Spine CT. 408 mm wide. sagittal plane, index 239
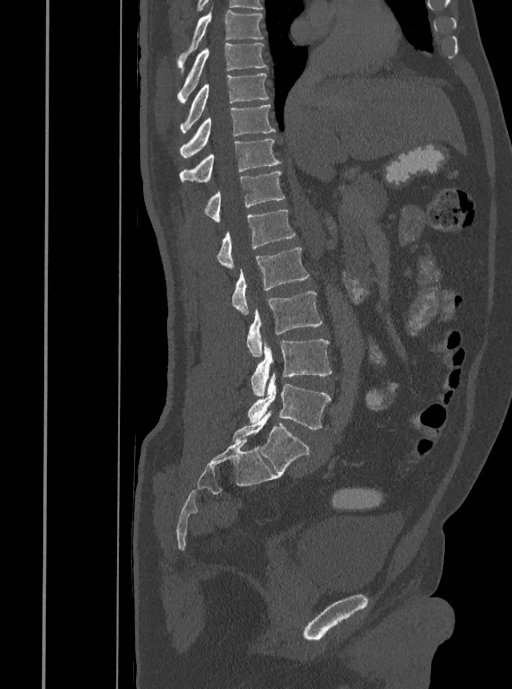

Boxes are given in columns x1, y1, x2, y2, the pixel coordinates of their top-left and bottom-right corners.
| vertebra | x1 | y1 | x2 | y2 |
|---|---|---|---|---|
| T7 | 177 | 10 | 264 | 74 |
| T8 | 177 | 43 | 266 | 103 |
| T9 | 181 | 73 | 269 | 132 |
| T10 | 179 | 104 | 275 | 157 |
| T11 | 179 | 139 | 281 | 182 |
| T12 | 204 | 171 | 285 | 221 |
| L1 | 217 | 210 | 295 | 268 |
| L2 | 232 | 247 | 309 | 314 |
| L3 | 247 | 291 | 321 | 357 |
| L4 | 251 | 339 | 331 | 397 |
| L5 | 247 | 373 | 330 | 429 |